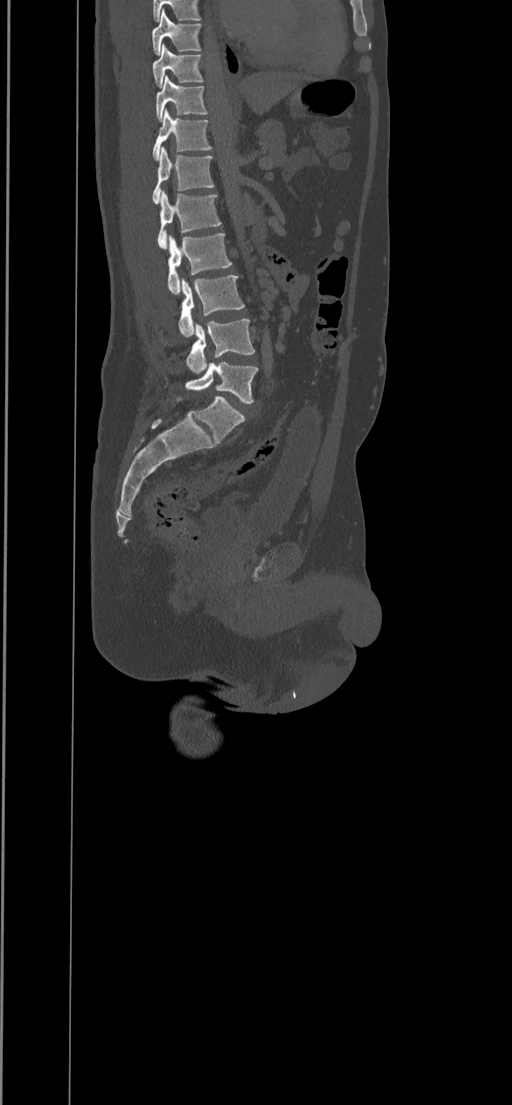

CT, spine · image 434 mm wide · sagittal view · Bone window (WL 400, WW 1800) · 512x1105 px
Boxes are (x1, y1, x2, y2) in pixels.
Vertebra bounding boxes:
- T8: (152, 8, 201, 54)
- T9: (152, 44, 203, 88)
- T10: (156, 75, 208, 120)
- T11: (152, 108, 211, 160)
- T12: (152, 147, 214, 204)
- L1: (157, 190, 221, 250)
- L2: (167, 234, 231, 294)
- L3: (178, 275, 244, 337)
- L4: (186, 319, 255, 374)
- L5: (185, 362, 257, 402)